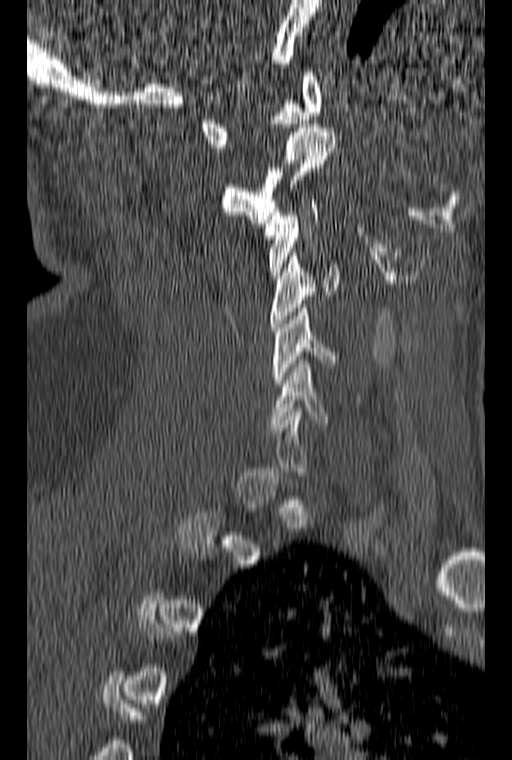
Spine CT — sagittal view — W/L 1800/400 HU — 512x760 px
Each vertebra is boxed only on the slices from the first to the last where its cross-section reaches a third of its largest, so a slice outside that range leaves it unboxed.
<vertebrae><v name="C1" x1="200" y1="72" x2="323" y2="147"/><v name="C2" x1="221" y1="124" x2="336" y2="223"/><v name="C3" x1="264" y1="200" x2="318" y2="279"/><v name="C4" x1="270" y1="252" x2="337" y2="331"/><v name="C5" x1="272" y1="308" x2="339" y2="387"/><v name="C6" x1="269" y1="360" x2="330" y2="427"/></vertebrae>